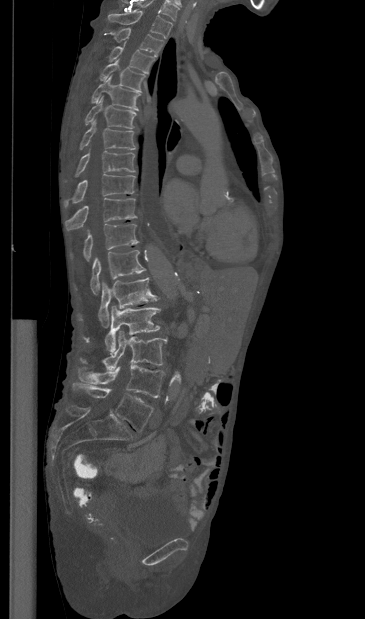
CT, spine · sagittal view · bone window. Box edges are left/top/right/bottom in pixels.
In this scan, the topmost labeled vertebra is T1 and the lowest is L5.
Vertebra bounding boxes:
- T1: left=108, top=10, right=172, bottom=38
- T2: left=113, top=28, right=163, bottom=56
- T3: left=109, top=46, right=154, bottom=72
- T4: left=100, top=59, right=145, bottom=92
- T5: left=91, top=75, right=140, bottom=110
- T6: left=85, top=96, right=136, bottom=128
- T7: left=80, top=120, right=135, bottom=149
- T8: left=75, top=150, right=134, bottom=176
- T9: left=64, top=174, right=135, bottom=207
- T10: left=65, top=198, right=136, bottom=230
- T11: left=70, top=223, right=138, bottom=261
- T12: left=90, top=250, right=145, bottom=294
- L1: left=77, top=277, right=158, bottom=327
- L2: left=83, top=306, right=160, bottom=353
- L3: left=80, top=331, right=167, bottom=370
- L4: left=78, top=365, right=164, bottom=397
- L5: left=73, top=382, right=153, bottom=431